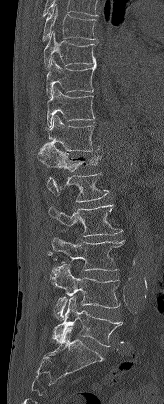

CT — sagittal reformat
Box values are [left, top, right, bottom] in pixels.
{"vertebrae":{"T7":[42,5,96,41],"T8":[43,31,96,69],"T9":[46,57,96,97],"T10":[47,87,95,126],"T11":[44,115,100,151],"T12":[37,142,100,171],"L1":[47,173,108,202],"L2":[49,204,122,236],"L3":[48,236,124,270],"L4":[51,263,120,320],"L5":[53,297,122,346]}}